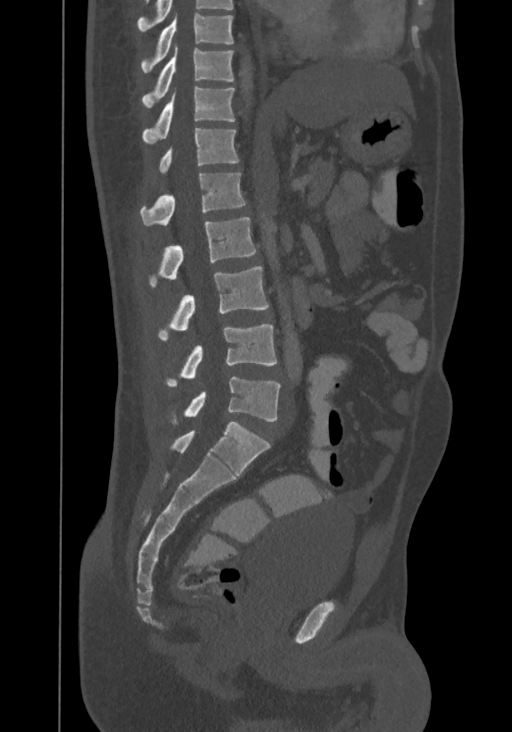
Computed tomography of the spine — sagittal view
Each vertebra maps to its box as [x1, y1, x2, y2], the pixel coordinates of its top-left and bottom-right corners.
In this scan, the topmost labeled vertebra is T8 and the lowest is L4.
{"vertebrae":{"T8":[141,14,233,73],"T9":[142,45,233,107],"T10":[142,87,235,143],"T11":[159,128,239,175],"T12":[141,173,246,225],"L1":[150,217,255,287],"L2":[159,266,268,339],"L3":[167,324,276,387],"L4":[174,377,281,423]}}